Computed tomography of the spine — sagittal view
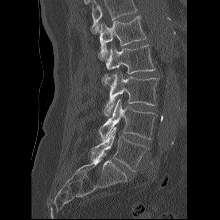

Boxes are (x1, y1, x2, y2) in pixels. A vertebra cut off by the top edge of the scan is not labeled and has no box. Vertebrae labeled: L5 at (91, 127, 149, 171), L4 at (99, 99, 156, 139), L3 at (101, 72, 158, 115), L2 at (106, 45, 155, 73), L1 at (98, 15, 146, 60).